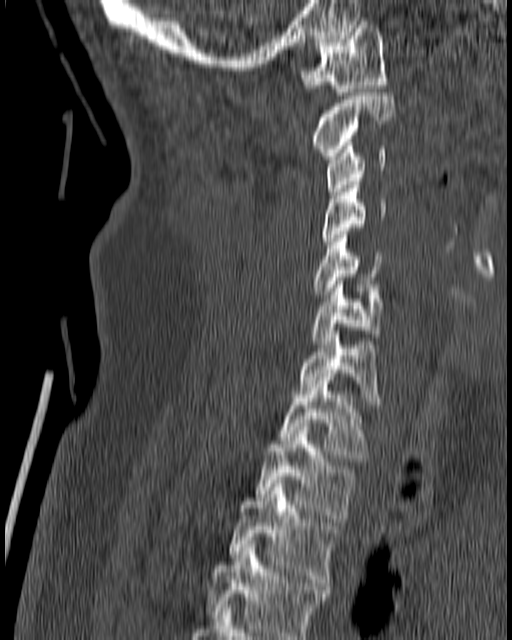

CT spine. 180 mm image width. sagittal reformat. 512x640 px
Each box given as x1,y1,x2,y2. Vertebrae labeled: T4 at x1=206, y1=544, x2=328, y2=639, T3 at x1=228, y1=480, x2=338, y2=586, T2 at x1=255, y1=423, x2=355, y2=522, T1 at x1=278, y1=377, x2=367, y2=461, C7 at x1=297, y1=331, x2=381, y2=404, C6 at x1=311, y1=281, x2=384, y2=344, C5 at x1=310, y1=235, x2=381, y2=294, C4 at x1=322, y1=178, x2=387, y2=248, C3 at x1=325, y1=139, x2=387, y2=195, C2 at x1=311, y1=92, x2=395, y2=159, C1 at x1=302, y1=21, x2=387, y2=95.